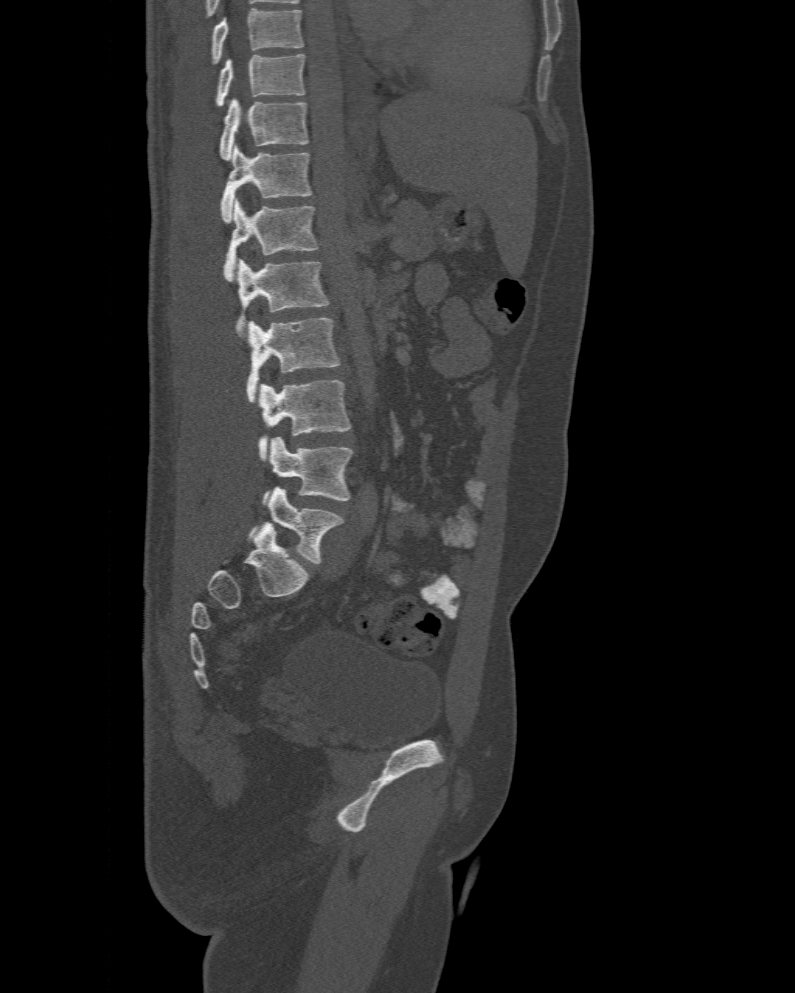
CT, spine. sagittal view. W/L 1800/400 HU

Box edges are left/top/right/bottom in pixels.
This scan's labels start at T10 at the top and end at L6 at the bottom.
In these labels the spine has an L6, a sixth lumbar vertebra below L5.
Vertebra bounding boxes:
- T10: left=213, top=53, right=305, bottom=109
- T11: left=219, top=98, right=310, bottom=161
- T12: left=220, top=145, right=313, bottom=223
- L1: left=222, top=199, right=319, bottom=281
- L2: left=234, top=259, right=328, bottom=330
- L3: left=247, top=317, right=341, bottom=404
- L4: left=258, top=380, right=350, bottom=461
- L5: left=264, top=437, right=355, bottom=504
- L6: left=248, top=487, right=344, bottom=564